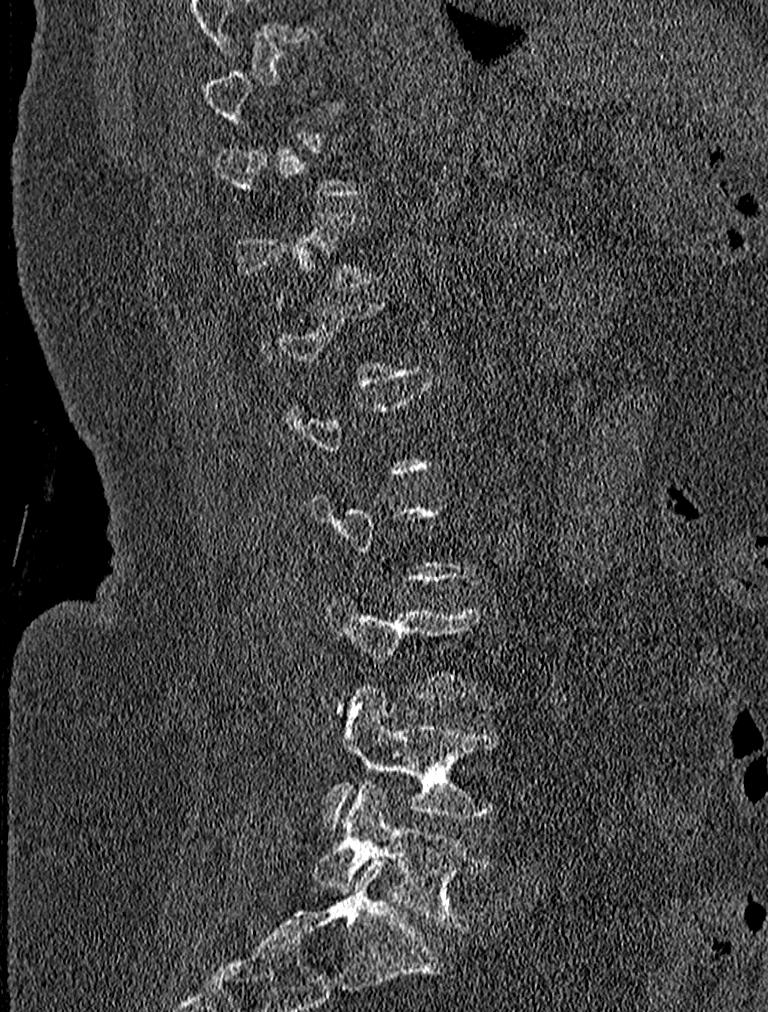

Spine computed tomography; sagittal view; bone-window reconstruction; image width 227 mm
Coordinates as <box>x1,y1,x2,y2</box>.
A vertebra is boxed only from the first to the last slice where its cross-section is at least a third of its largest; slices outside that range leave it without a box.
L4: <box>324,688,507,830</box>
L5: <box>313,779,488,928</box>